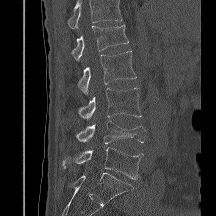

Spine computed tomography — sagittal reformat
Each box given as x1,y1,x2,y2. Where the top of the scan cuts through a vertebra, that vertebra gets no label or box. Vertebrae labeled: L1 at x1=71, y1=24, x2=128, y2=60, L2 at x1=78, y1=51, x2=136, y2=94, L3 at x1=78, y1=88, x2=141, y2=120, L4 at x1=75, y1=120, x2=145, y2=143, L5 at x1=62, y1=147, x2=143, y2=179.